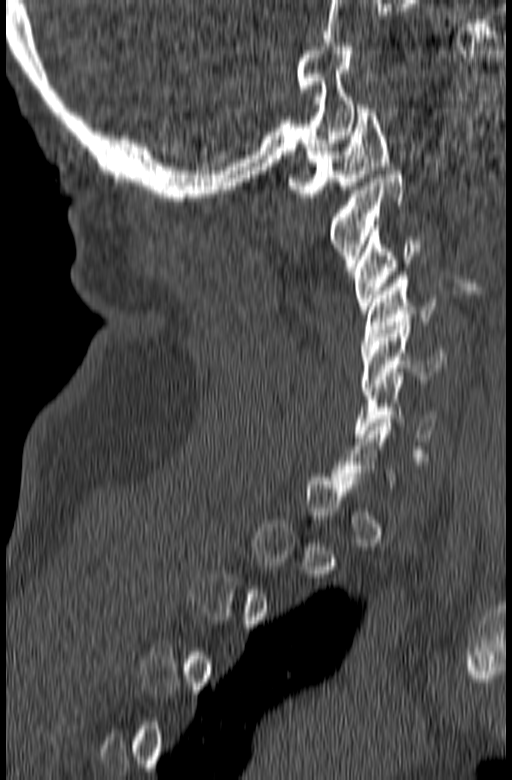
CT, spine — sagittal view. Each row gives a vertebra's box as x1, y1, x2, y2 in pixels: top-left corner, then bottom-right corner.
Each vertebra is boxed only on the slices from the first to the last where its cross-section reaches a third of its largest, so a slice outside that range leaves it unboxed.
| vertebra | x1 | y1 | x2 | y2 |
|---|---|---|---|---|
| C6 | 355 | 376 | 436 | 453 |
| C5 | 361 | 322 | 445 | 391 |
| C4 | 361 | 272 | 438 | 348 |
| C3 | 352 | 225 | 419 | 313 |
| C2 | 330 | 171 | 405 | 271 |
| C1 | 288 | 105 | 388 | 197 |